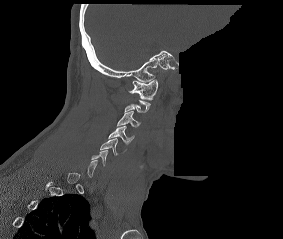
CT spine. sagittal view. a portion of the image is blanked out (constant pixel value)
Box values are [left, top, right, bottom] in pixels.
A vertebra is boxed only from the first to the last slice where its cross-section is at least a third of its largest; slices outside that range leave it without a box.
{"vertebrae":{"C1":[128,79,157,100],"C3":[117,111,140,127],"C4":[108,126,134,144],"C5":[100,138,127,155]}}